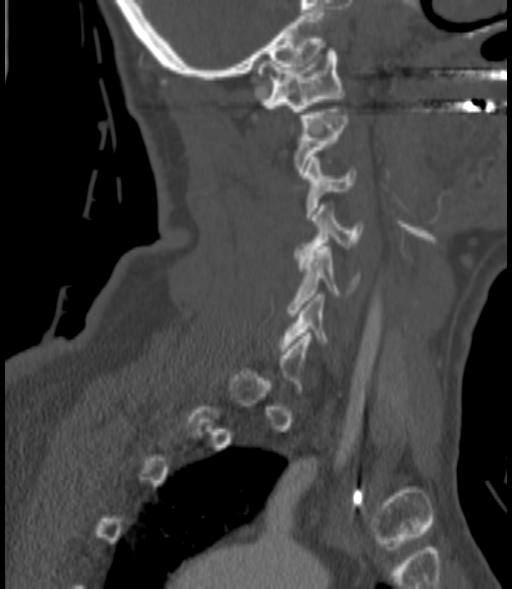

Spine computed tomography · sagittal view · W/L 1800/400 HU
A vertebra is boxed only from the first to the last slice where its cross-section is at least a third of its largest; slices outside that range leave it without a box.
<vertebrae><v name="C1" x1="258" y1="48" x2="343" y2="111"/><v name="C2" x1="295" y1="109" x2="349" y2="175"/><v name="C3" x1="304" y1="157" x2="355" y2="217"/><v name="C4" x1="295" y1="205" x2="361" y2="258"/><v name="C5" x1="288" y1="246" x2="358" y2="316"/><v name="C6" x1="280" y1="294" x2="328" y2="351"/></vertebrae>